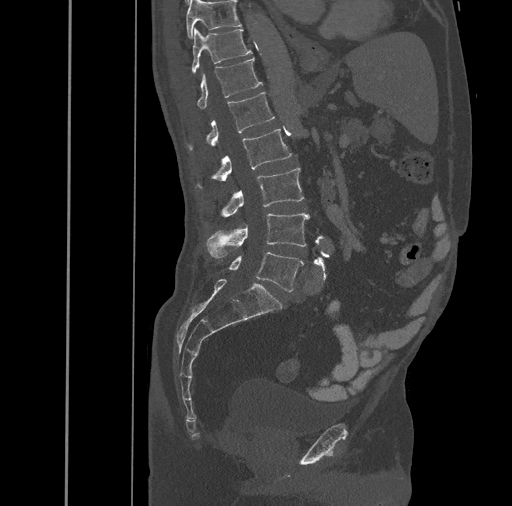

Spine CT · sagittal view · image 461 mm wide
In the table, x1 and y1 are a box's top-left corner and x2 and y2 its bottom-right corner, in pixels.
| vertebra | x1 | y1 | x2 | y2 |
|---|---|---|---|---|
| T10 | 186 | 0 | 241 | 38 |
| T11 | 191 | 28 | 251 | 73 |
| T12 | 197 | 57 | 262 | 108 |
| L1 | 188 | 92 | 275 | 150 |
| L2 | 197 | 128 | 292 | 187 |
| L3 | 220 | 168 | 304 | 216 |
| L4 | 206 | 213 | 308 | 258 |
| L5 | 228 | 252 | 303 | 291 |